Spine computed tomography · 397 mm across the image · sagittal view · W/L 1800/400 HU · 9 vertebrae labeled in this scan
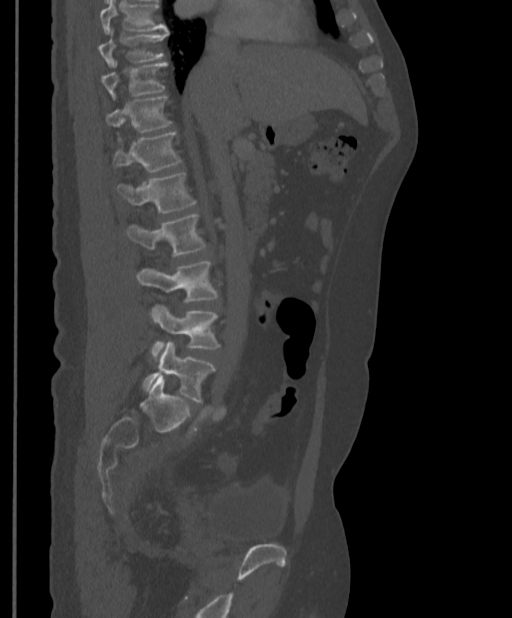

Coordinates as <box>x1,y1,x2,y2</box>.
Where the top of the scan cuts through a vertebra, that vertebra gets no label or box.
Vertebra bounding boxes:
- T9: <box>98,30,168,66</box>
- T10: <box>102,62,167,98</box>
- T11: <box>106,95,172,132</box>
- T12: <box>113,132,181,172</box>
- L1: <box>116,173,196,213</box>
- L2: <box>125,214,206,256</box>
- L3: <box>137,261,218,302</box>
- L4: <box>151,304,219,360</box>
- L5: <box>143,342,216,401</box>